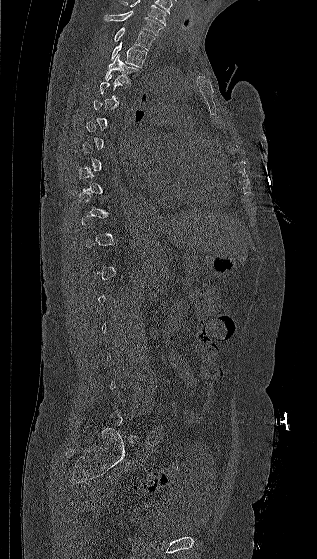 Spine CT; sagittal view
A vertebra is boxed only from the first to the last slice where its cross-section is at least a third of its largest; slices outside that range leave it without a box.
In this scan, the topmost labeled vertebra is C7 and the lowest is L5.
<vertebrae><v name="C7" x1="104" y1="11" x2="163" y2="35"/><v name="T1" x1="114" y1="27" x2="154" y2="49"/><v name="T2" x1="110" y1="43" x2="147" y2="67"/><v name="T3" x1="104" y1="54" x2="139" y2="83"/></vertebrae>